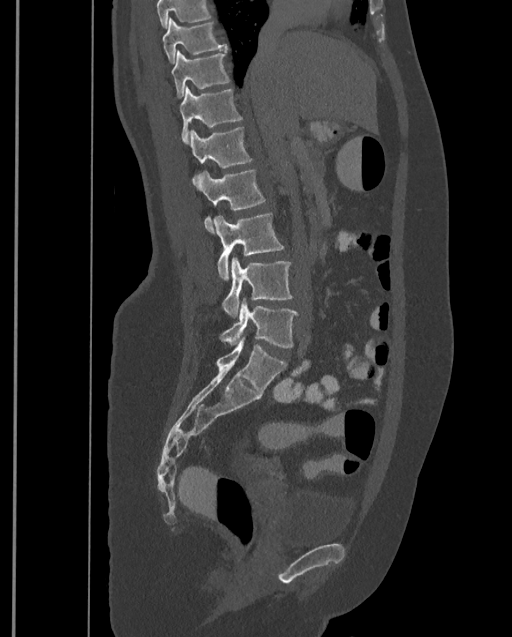 CT spine · sagittal view
A vertebra cut off by the top edge of the scan is not labeled and has no box.
This scan's labels start at T9 at the top and end at L4 at the bottom.
<vertebrae><v name="T9" x1="162" y1="17" x2="227" y2="64"/><v name="T10" x1="171" y1="50" x2="230" y2="98"/><v name="T11" x1="180" y1="85" x2="243" y2="143"/><v name="T12" x1="189" y1="127" x2="252" y2="186"/><v name="L1" x1="196" y1="170" x2="264" y2="233"/><v name="L2" x1="213" y1="212" x2="284" y2="281"/><v name="L3" x1="222" y1="258" x2="293" y2="318"/><v name="L4" x1="219" y1="298" x2="298" y2="348"/></vertebrae>